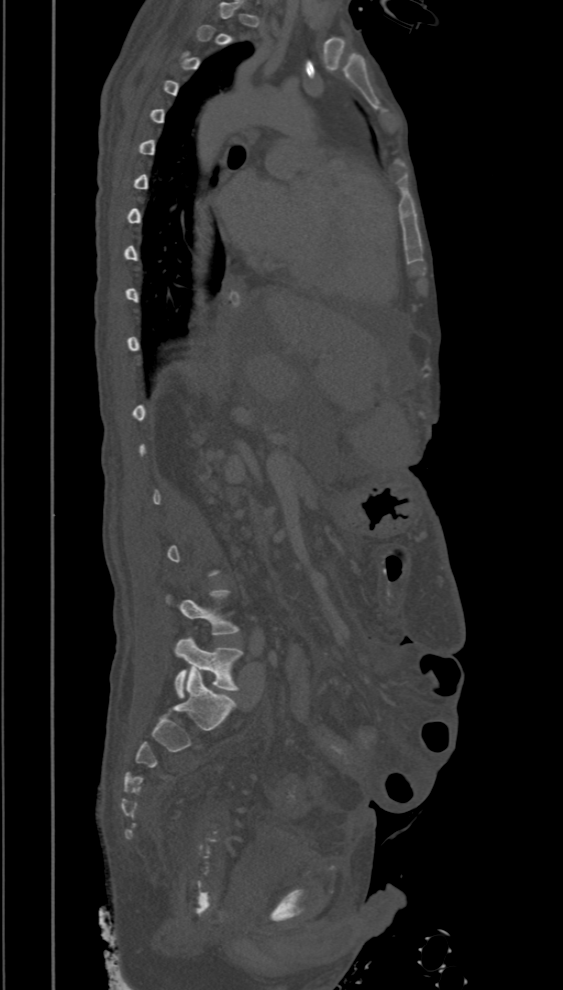

Spine CT; sagittal view; W/L 1800/400 HU; 563x990 px
Box edges are left/top/right/bottom in pixels.
A vertebra is boxed only from the first to the last slice where its cross-section is at least a third of its largest; slices outside that range leave it without a box.
Vertebra bounding boxes:
- L5: left=174, top=637, right=243, bottom=698
- L4: left=165, top=589, right=240, bottom=635